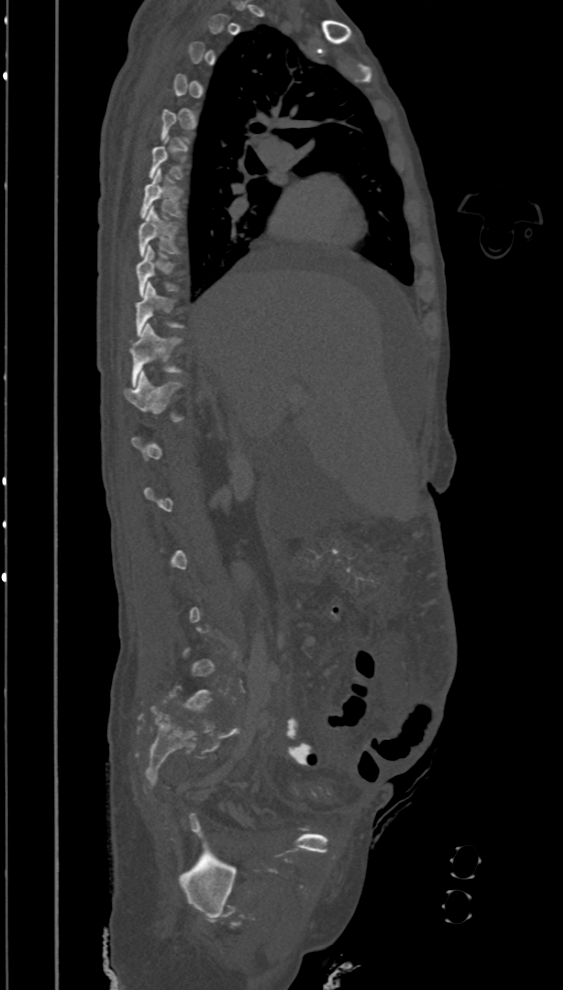 Computed tomography of the spine; 394 mm across the image; sagittal view; W/L 1800/400 HU; 563x990 px
Coordinates as <box>x1,y1,x2,y2</box>.
A vertebra gets a box only on the slices from the first to the last where its cross-section is at least a third of its largest; on a slice outside that range it gets none.
Vertebra bounding boxes:
- T12: <box>124,370,183,422</box>
- T11: <box>130,323,181,386</box>
- T10: <box>135,282,183,336</box>
- T9: <box>135,245,177,296</box>
- T8: <box>139,206,180,256</box>
- T7: <box>140,169,183,218</box>